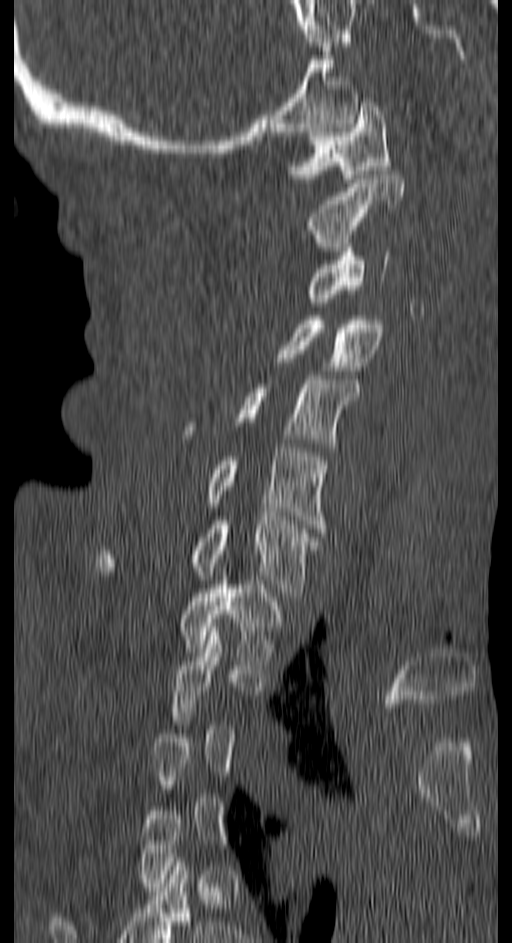
Computed tomography of the spine — sagittal reformat
Boxes: x1 y1 x2 y2 (pixel coords, space-separated). Each vertebra is boxed only on the slices from the first to the last where its cross-section reaches a third of its largest, so a slice outside that range leaves it unboxed. 8 vertebrae labeled — C1 at 288 98 389 182; C2 at 305 171 403 251; C3 at 305 247 389 302; C4 at 274 316 383 370; C5 at 183 375 359 451; C6 at 121 448 328 532; C7 at 97 516 318 596; T1 at 179 576 284 665.